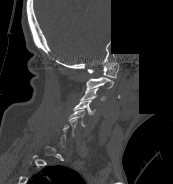 Spine computed tomography. sagittal view. part of the scan has been removed (filled with constant black)
Boxes: x1:y1:x2:y2 in pixels. A vertebra gets a box only on the slices from the first to the last where its cross-section is at least a third of its largest; on a slice outside that range it gets none. 5 vertebrae labeled — C1 at 87:62:119:78; C2 at 86:77:113:88; C3 at 81:88:106:100; C4 at 73:100:96:114; C5 at 67:109:85:126.